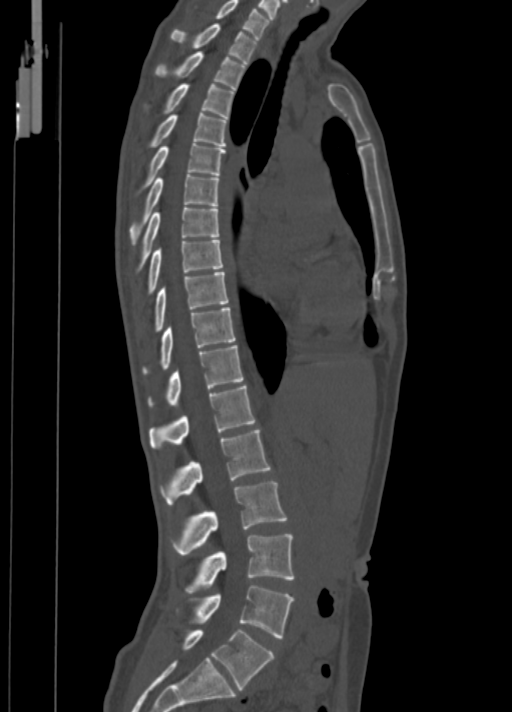
Computed tomography of the spine · sagittal reformat
Boxes: x1 y1 x2 y2 (pixel coords, space-separated).
Vertebra bounding boxes:
- L5: 180 629 274 689
- L4: 177 585 294 638
- L3: 184 534 294 593
- L2: 171 481 287 553
- L1: 159 430 271 505
- T12: 149 385 255 450
- T11: 148 345 243 407
- T10: 142 307 236 375
- T9: 153 272 228 333
- T8: 146 240 223 294
- T7: 136 206 218 273
- T6: 128 174 218 245
- T5: 137 143 226 194
- T4: 146 113 227 148
- T3: 143 83 234 117
- T2: 155 51 246 90
- T1: 171 23 258 63
- C7: 215 0 269 38